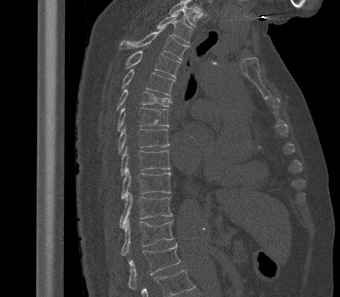
Spine computed tomography · sagittal view · W/L 1800/400 HU · 340x297 px · the image is 340 mm wide
Each box given as x1,y1,x2,y2.
This scan's labels start at T2 at the top and end at L1 at the bottom.
| vertebra | x1 | y1 | x2 | y2 |
|---|---|---|---|---|
| T2 | 156 | 13 | 192 | 43 |
| T3 | 119 | 28 | 188 | 60 |
| T4 | 125 | 50 | 180 | 77 |
| T5 | 121 | 69 | 175 | 96 |
| T6 | 116 | 89 | 172 | 111 |
| T7 | 117 | 107 | 169 | 131 |
| T8 | 118 | 126 | 169 | 153 |
| T9 | 120 | 146 | 170 | 176 |
| T10 | 121 | 168 | 171 | 199 |
| T11 | 119 | 192 | 172 | 228 |
| T12 | 121 | 219 | 174 | 255 |
| L1 | 128 | 243 | 180 | 292 |